CT; Sagittal slice 74/165; bone window; a region is masked with a constant gray value
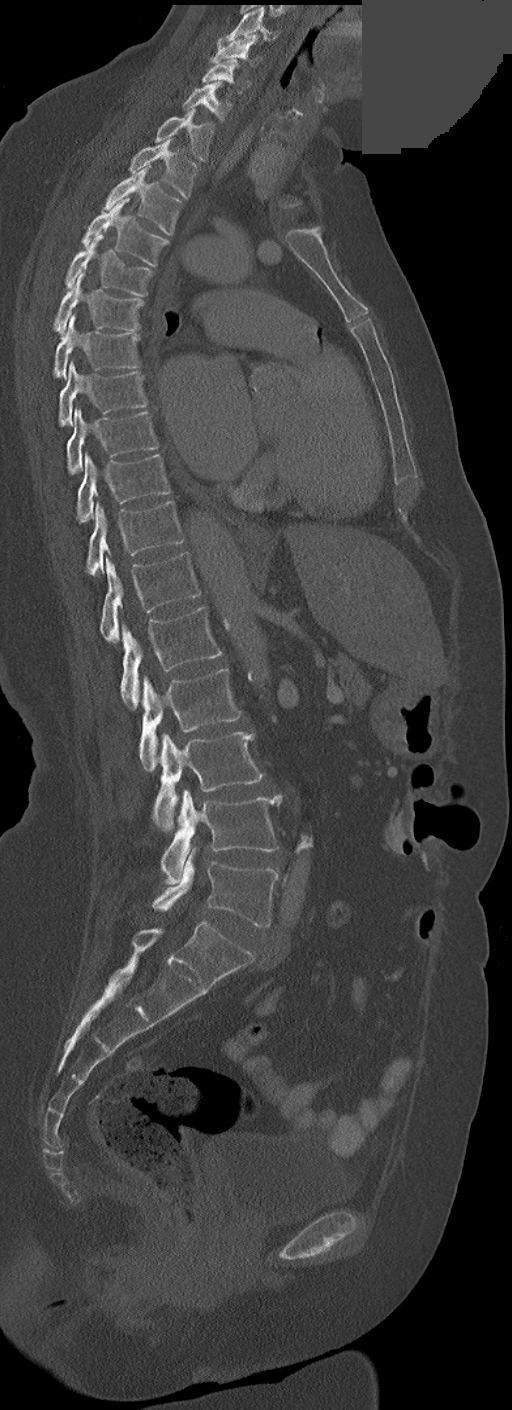 Each vertebra maps to its box as [x1, y1, x2, y2], the pixel coordinates of its top-left and bottom-right corners.
In these labels the thoracic vertebrae end at T11, so L1 follows T11.
{"vertebrae":{"C3":[218,7,276,42],"C4":[210,34,260,67],"C5":[202,59,247,91],"C6":[183,82,231,121],"C7":[155,108,213,160],"T1":[129,139,199,199],"T2":[103,165,182,235],"T3":[82,198,168,266],"T4":[65,235,152,296],"T5":[53,273,144,335],"T6":[53,315,140,379],"T7":[59,361,148,426],"T8":[66,409,158,473],"T9":[76,454,170,522],"T10":[86,500,182,574],"T11":[100,553,201,642],"L1":[120,606,221,709],"L2":[139,669,241,772],"L3":[151,732,264,830],"L4":[161,789,282,884],"L5":[153,848,278,926]}}